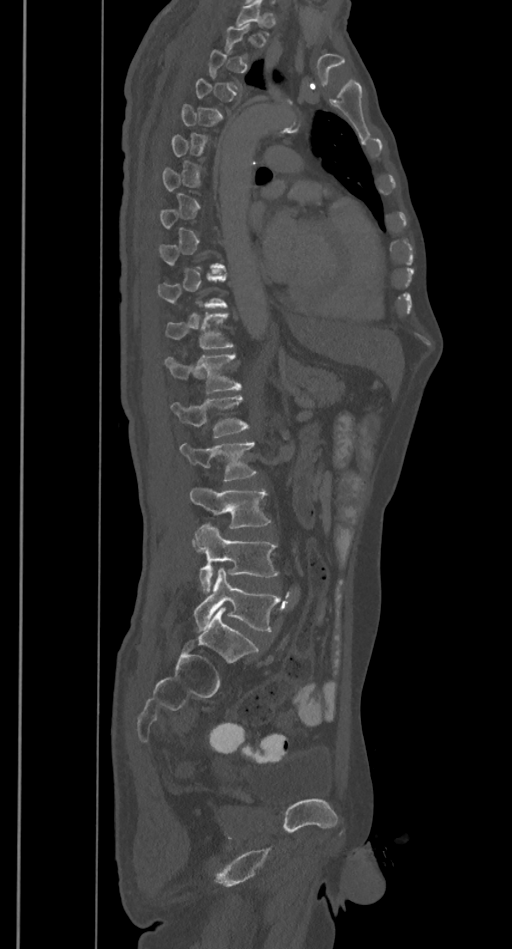 Spine computed tomography. 385 mm wide. sagittal view

Bounding boxes as [x1, y1, x2, y2] in pixel coordinates.
A vertebra gets a box only on the slices from the first to the last where its cross-section is at least a third of its largest; on a slice outside that range it gets none.
L5: [194, 567, 281, 632]
L4: [193, 523, 278, 593]
L3: [190, 487, 271, 528]
L2: [179, 442, 258, 481]
L1: [171, 396, 249, 437]
T12: [165, 354, 241, 393]
T11: [166, 314, 234, 348]